Spine computed tomography. Sagittal slice 51/115. Bone window (WL 400, WW 1800)
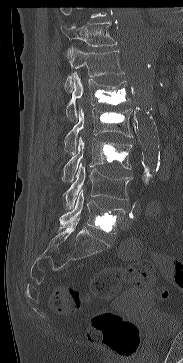 Each vertebra maps to its box as [x1, y1, x2, y2], the pixel coordinates of its top-left and bottom-right corners.
No box is given to a vertebra that the top edge of the scan cuts off.
{"vertebrae":{"T11":[60,22,117,57],"T12":[64,47,124,93],"L1":[66,72,129,120],"L2":[64,107,132,154],"L3":[62,136,132,181],"L4":[63,163,132,209],"L5":[59,189,125,233]}}